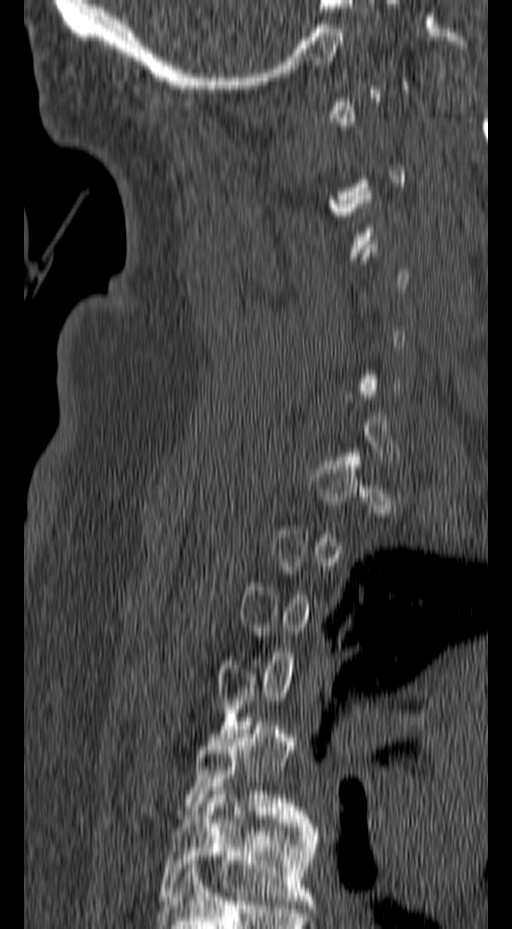
Spine CT · sagittal reformat · bone-window reconstruction · 512x929 px

Boxes: x1 y1 x2 y2 (pixel coords, space-separated). A vertebra gets a box only on the slices from the first to the last where its cross-section is at least a third of its largest; on a slice outside that range it gets none. 2 vertebrae labeled — T5 at 184 717 314 827; T6 at 160 787 320 904.